Spine computed tomography · sagittal view · 531x786 px · scan covers 17 annotated vertebrae · 478 mm image width
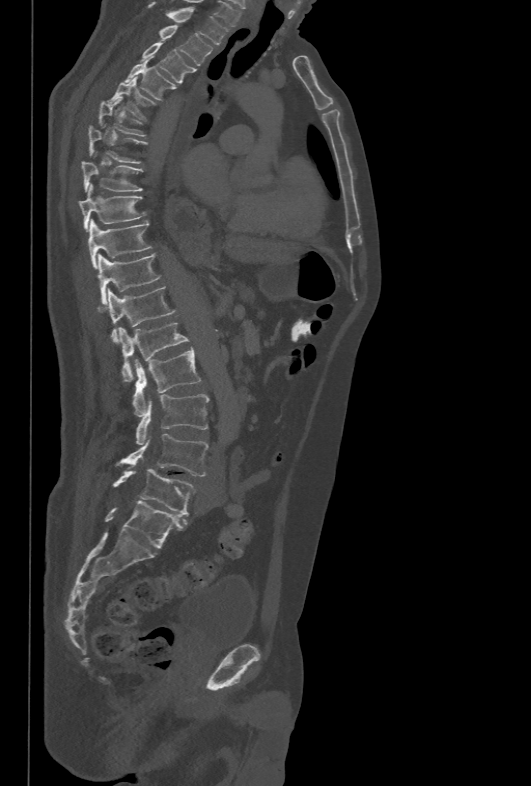
Box edges are left/top/right/bottom in pixels.
| vertebra | x1 | y1 | x2 | y2 |
|---|---|---|---|---|
| T1 | 147 | 1 | 228 | 45 |
| T2 | 159 | 25 | 213 | 65 |
| T3 | 141 | 42 | 194 | 83 |
| T4 | 124 | 62 | 174 | 99 |
| T5 | 108 | 78 | 155 | 118 |
| T6 | 99 | 96 | 145 | 136 |
| T7 | 88 | 125 | 145 | 163 |
| T8 | 81 | 162 | 142 | 192 |
| T9 | 79 | 184 | 145 | 231 |
| T10 | 88 | 219 | 151 | 267 |
| T11 | 98 | 254 | 160 | 304 |
| T12 | 96 | 286 | 176 | 342 |
| L1 | 118 | 323 | 189 | 381 |
| L2 | 132 | 348 | 200 | 415 |
| L3 | 136 | 394 | 209 | 444 |
| L4 | 116 | 434 | 208 | 476 |
| L5 | 113 | 468 | 194 | 515 |